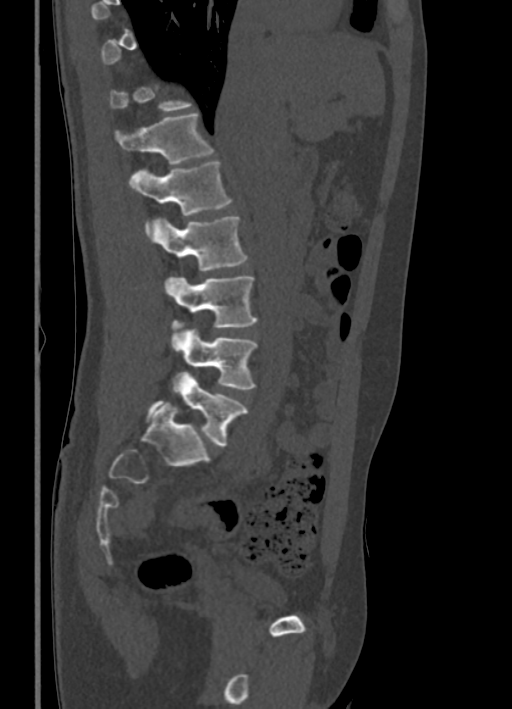

Spine CT · sagittal view · 336 mm image width · bone-window reconstruction
Box values are [left, top, right, bottom] in pixels.
A vertebra gets a box only on the slices from the first to the last where its cross-section is at least a third of its largest; on a slice outside that range it gets none.
{"vertebrae":{"T12":[114,112,214,164],"L1":[129,161,232,234],"L2":[152,216,247,270],"L3":[164,276,258,330],"L4":[170,328,258,389],"L5":[144,372,247,447]}}